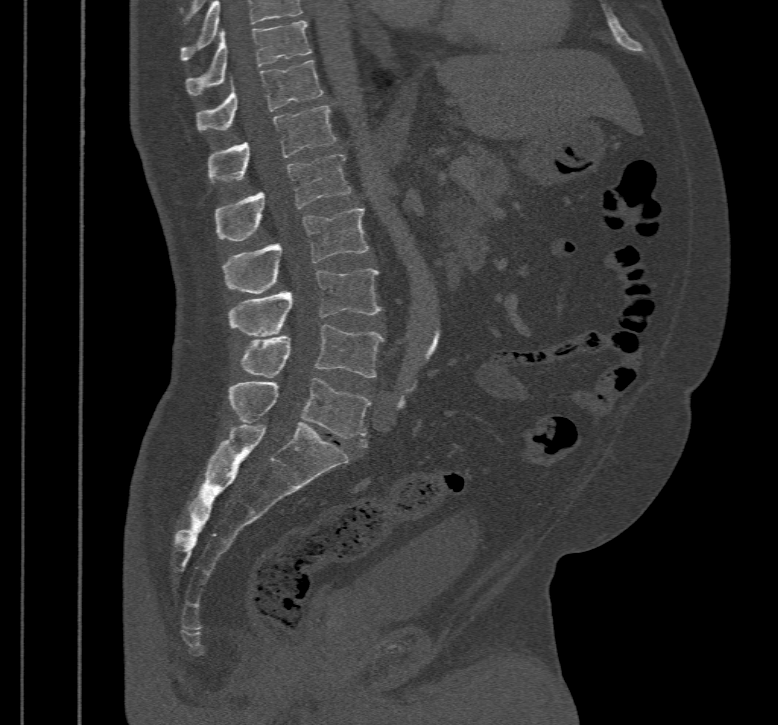 Computed tomography of the spine. sagittal view. 778x725 px. image 467 mm wide
Boxes: x1 y1 x2 y2 (pixel coords, space-separated). Labels in this scan begin with T10 at the top and end with L5 at the bottom. Vertebrae labeled: L5 at 228 377 370 447, L4 at 240 324 385 378, L3 at 228 268 381 336, L2 at 223 209 368 293, L1 at 214 154 350 241, T12 at 208 105 335 183, T11 at 196 60 323 131, T10 at 187 20 312 94.